CT · sagittal view · W/L 1800/400 HU · scan covers 12 annotated vertebrae
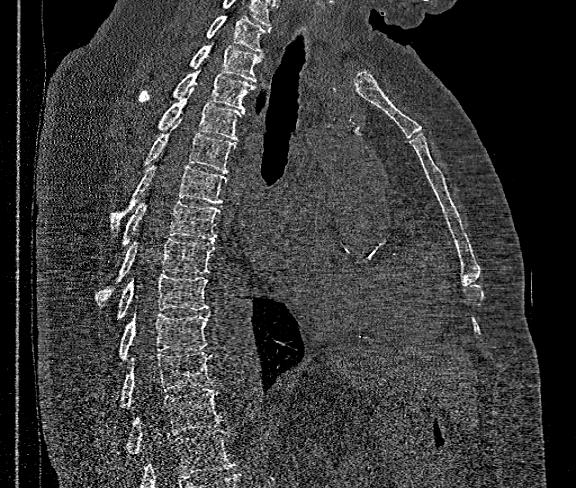 Box edges are left/top/right/bottom in pixels. No box is given to a vertebra that the bottom edge of the scan cuts off. In this scan, the topmost labeled vertebra is T1 and the lowest is T12. Vertebrae labeled: T1 at left=206, top=16, right=271, bottom=52, T2 at left=189, top=31, right=262, bottom=81, T3 at left=137, top=70, right=254, bottom=111, T4 at left=156, top=87, right=243, bottom=140, T5 at left=144, top=120, right=235, bottom=174, T6 at left=110, top=165, right=227, bottom=231, T7 at left=121, top=200, right=219, bottom=246, T8 at left=96, top=239, right=215, bottom=305, T9 at left=117, top=274, right=208, bottom=319, T10 at left=118, top=314, right=208, bottom=359, T11 at left=119, top=352, right=213, bottom=407, T12 at left=125, top=389, right=226, bottom=454.